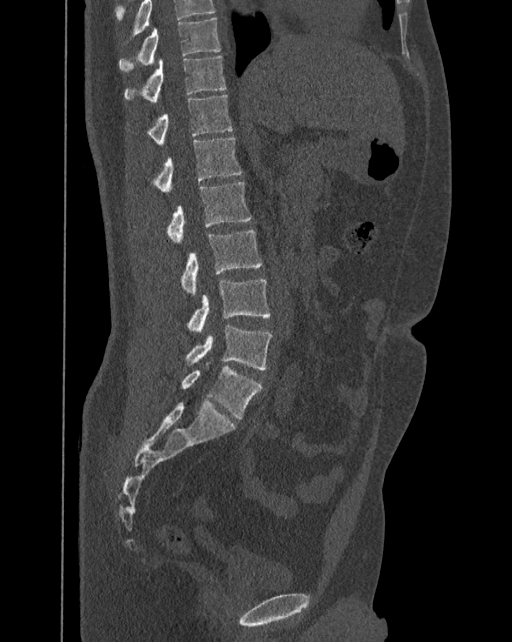

Computed tomography of the spine — sagittal view — image 392 mm wide
Columns x1, y1, x2, y2 give each box's top-left and bottom-right pixels.
In this scan, the topmost labeled vertebra is T10 and the lowest is L6.
In these labels the spine has an L6, a sixth lumbar vertebra below L5.
| vertebra | x1 | y1 | x2 | y2 |
|---|---|---|---|---|
| T10 | 119 | 18 | 221 | 72 |
| T11 | 124 | 55 | 226 | 102 |
| T12 | 149 | 94 | 233 | 146 |
| L1 | 154 | 138 | 240 | 193 |
| L2 | 167 | 182 | 251 | 244 |
| L3 | 181 | 230 | 261 | 296 |
| L4 | 188 | 279 | 269 | 333 |
| L5 | 185 | 324 | 272 | 369 |
| L6 | 181 | 362 | 261 | 419 |